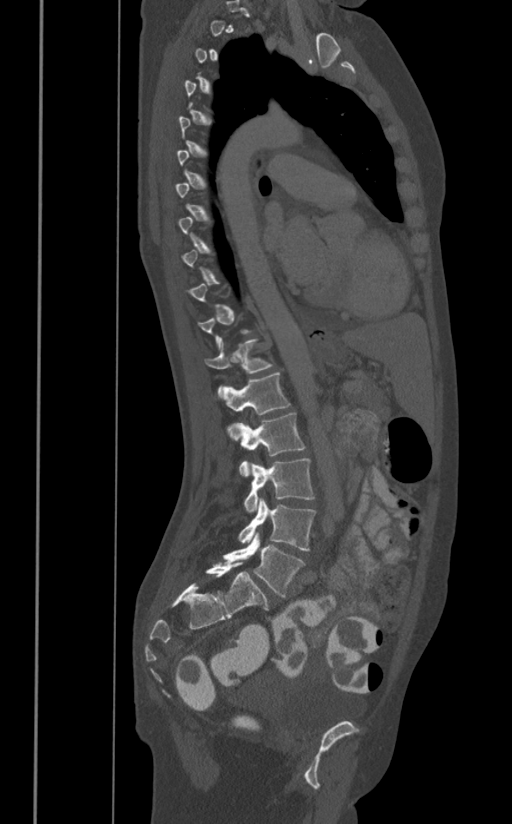
Spine CT · sagittal view · bone window · 512x824 px. Coordinates as <box>x1,y1,x2,y2</box>.
Not every vertebra on this slice has a box: a vertebra is boxed only from the first to the last slice where its cross-section is at least a third of its largest, and this slice is outside that range for at least one of them.
Vertebra bounding boxes:
- T12: <box>204,339,272,395</box>
- L1: <box>220,372,291,440</box>
- L2: <box>239,412,305,476</box>
- L3: <box>244,458,314,512</box>
- L4: <box>238,499,316,551</box>
- L5: <box>222,533,305,598</box>